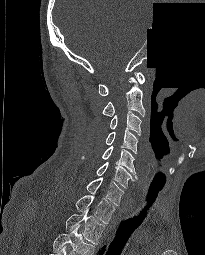 CT — sagittal view — part of the image is constant black where the scan was masked

In this scan, the topmost labeled vertebra is C1 and the lowest is T2.
<vertebrae><v name="T2" x1="66" y1="209" x2="104" y2="244"/><v name="T1" x1="75" y1="195" x2="115" y2="223"/><v name="C7" x1="86" y1="177" x2="123" y2="205"/><v name="C6" x1="96" y1="162" x2="134" y2="188"/><v name="C5" x1="81" y1="145" x2="137" y2="178"/><v name="C4" x1="106" y1="129" x2="137" y2="153"/><v name="C3" x1="110" y1="111" x2="141" y2="135"/><v name="C2" x1="102" y1="77" x2="145" y2="116"/><v name="C1" x1="99" y1="72" x2="144" y2="95"/></vertebrae>